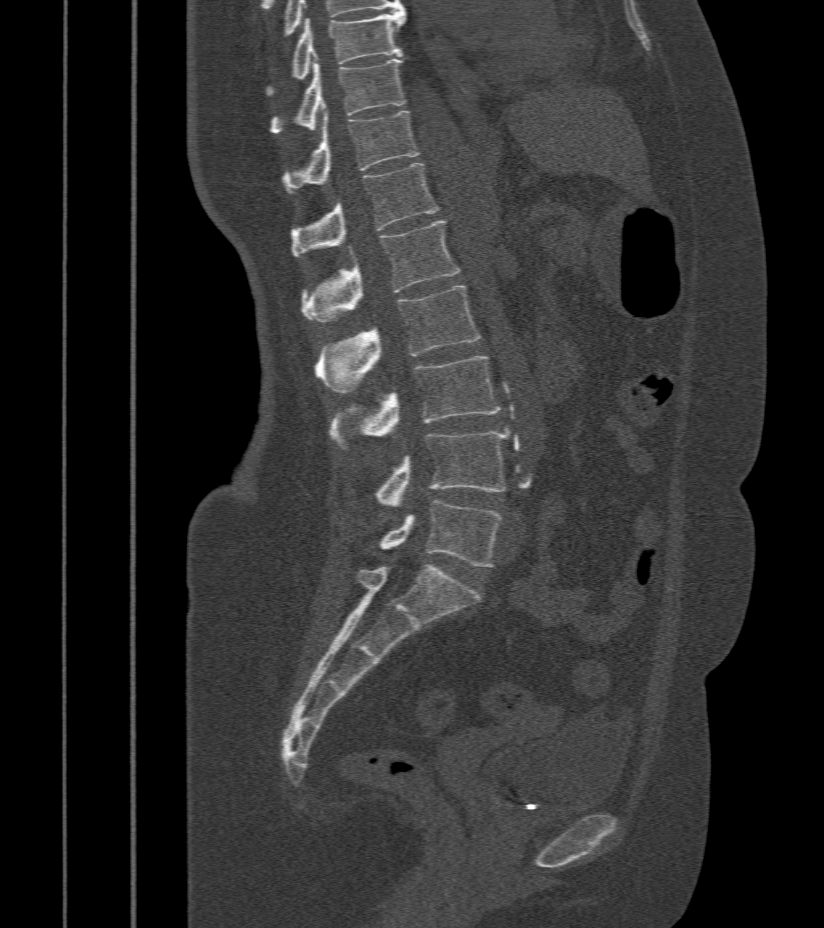 Computed tomography of the spine — sagittal view — bone-window reconstruction — 824x928 px
Coordinates as <box>x1,y1,x2,y2</box>.
Vertebra bounding boxes:
- T9: <box>266,9,406,96</box>
- T10: <box>270,59,406,134</box>
- T11: <box>282,111,421,192</box>
- T12: <box>290,163,438,256</box>
- L1: <box>303,221,461,322</box>
- L2: <box>315,285,480,394</box>
- L3: <box>328,357,501,452</box>
- L4: <box>373,431,509,506</box>
- L5: <box>378,501,501,568</box>